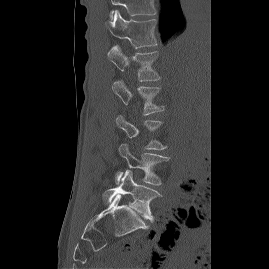
Spine computed tomography; sagittal reformat; bone window; 269x269 px

Boxes below are [x1, y1, x2, y2] in pixels.
A vertebra gets a box only on the slices from the first to the last where its cross-section is at least a third of its largest; on a slice outside that range it gets none.
Labels in this scan begin with T12 at the top and end with L5 at the bottom.
{"vertebrae":{"T12":[105,10,157,48],"L1":[108,45,160,81],"L2":[112,80,164,115],"L4":[115,144,170,185],"L5":[103,170,161,221]}}